Spine CT — sagittal reformat — 512x618 px
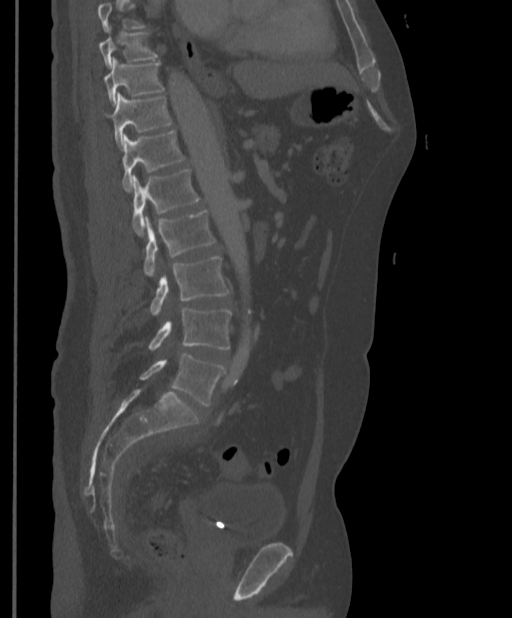 Each box given as x1,y1,x2,y2.
A vertebra cut off by the top edge of the scan is not labeled and has no box.
| vertebra | x1 | y1 | x2 | y2 |
|---|---|---|---|---|
| T9 | 99 | 28 | 157 | 67 |
| T10 | 104 | 58 | 164 | 105 |
| T11 | 106 | 93 | 172 | 147 |
| T12 | 122 | 130 | 185 | 192 |
| L1 | 131 | 169 | 200 | 236 |
| L2 | 143 | 210 | 216 | 276 |
| L3 | 149 | 257 | 230 | 315 |
| L4 | 148 | 308 | 231 | 350 |
| L5 | 139 | 353 | 225 | 405 |